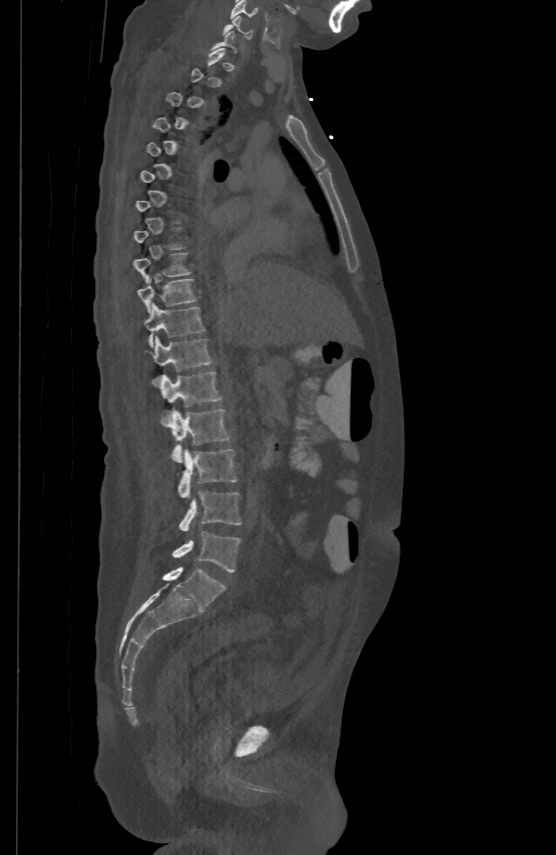

CT spine — sagittal view
Box edges are left/top/right/bottom in pixels.
Each vertebra is boxed only on the slices from the first to the last where its cross-section reaches a third of its largest, so a slice outside that range leaves it unboxed.
Vertebra bounding boxes:
- C5: left=230, top=0, right=257, bottom=18
- C6: left=224, top=15, right=252, bottom=38
- T9: left=133, top=252, right=191, bottom=281
- T10: left=138, top=275, right=196, bottom=311
- T11: left=144, top=303, right=204, bottom=346
- T12: left=153, top=336, right=213, bottom=383
- L1: left=160, top=371, right=221, bottom=419
- L2: left=165, top=407, right=229, bottom=462
- L3: left=178, top=450, right=237, bottom=497
- L4: left=179, top=491, right=241, bottom=531
- L5: left=173, top=532, right=240, bottom=572